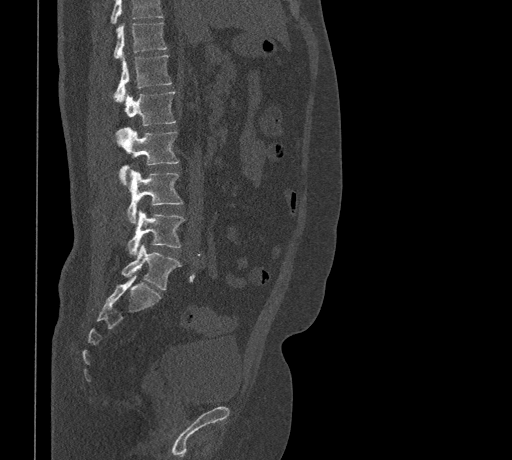 Spine computed tomography. the image is 461 mm wide. sagittal view
Vertebrae that run past the top of the scan are left unlabeled.
<vertebrae><v name="T11" x1="113" y1="22" x2="166" y2="58"/><v name="T12" x1="113" y1="55" x2="172" y2="101"/><v name="L1" x1="125" y1="91" x2="175" y2="126"/><v name="L2" x1="120" y1="128" x2="179" y2="184"/><v name="L3" x1="127" y1="170" x2="182" y2="222"/><v name="L4" x1="127" y1="210" x2="184" y2="255"/><v name="L5" x1="121" y1="245" x2="181" y2="289"/></vertebrae>